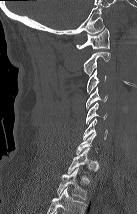

CT spine · sagittal view · 137x214 px · image width 137 mm

Each box given as x1,y1,x2,y2.
A vertebra gets a box only on the slices from the first to the last where its cross-section is at least a third of its largest; on a slice outside that range it gets none.
This scan's labels start at C1 at the top and end at T2 at the bottom.
| vertebra | x1 | y1 | x2 | y2 |
|---|---|---|---|---|
| C1 | 76 | 28 | 109 | 49 |
| C2 | 83 | 52 | 110 | 76 |
| C3 | 87 | 69 | 105 | 93 |
| C4 | 86 | 87 | 107 | 108 |
| C5 | 86 | 102 | 107 | 124 |
| C6 | 83 | 118 | 107 | 141 |
| T1 | 68 | 148 | 90 | 173 |
| T2 | 57 | 167 | 87 | 199 |